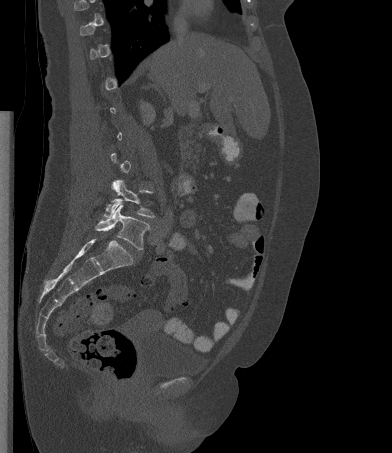 Spine computed tomography; sagittal view; bone window; 392x453 px
Each vertebra is boxed only on the slices from the first to the last where its cross-section reaches a third of its largest, so a slice outside that range leaves it unboxed.
<vertebrae><v name="L4" x1="103" y1="180" x2="155" y2="217"/><v name="L5" x1="95" y1="205" x2="149" y2="249"/></vertebrae>